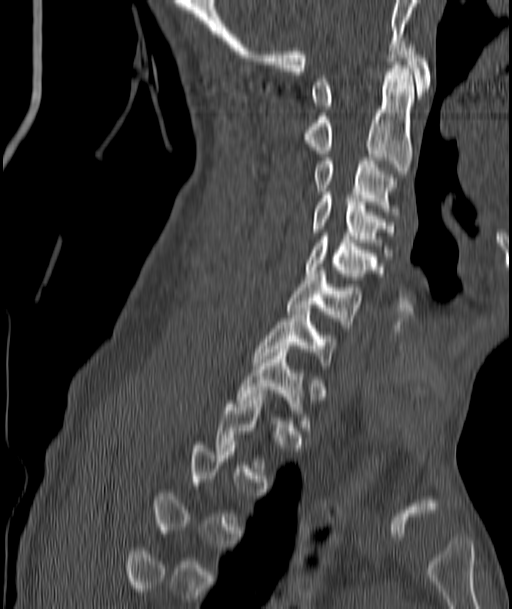
CT. 187 mm image width. sagittal view. W/L 1800/400 HU
Box edges are left/top/right/bottom in pixels. A vertebra gets a box only on the slices from the first to the last where its cross-section is at least a third of its largest; on a slice outside that range it gets none. The labeled vertebrae in this slice are: C1 at left=313, top=44, right=430, bottom=109, C2 at left=305, top=65, right=413, bottom=174, C3 at left=316, top=161, right=394, bottom=215, C4 at left=313, top=192, right=394, bottom=252, C5 at left=305, top=233, right=376, bottom=280, C6 at left=286, top=270, right=361, bottom=328, C7 at left=253, top=308, right=334, bottom=365.